Spine CT. 368 mm across the image. sagittal reformat. Bone window (WL 400, WW 1800). scan covers 24 annotated vertebrae. a region of this slice is masked with a uniform fill
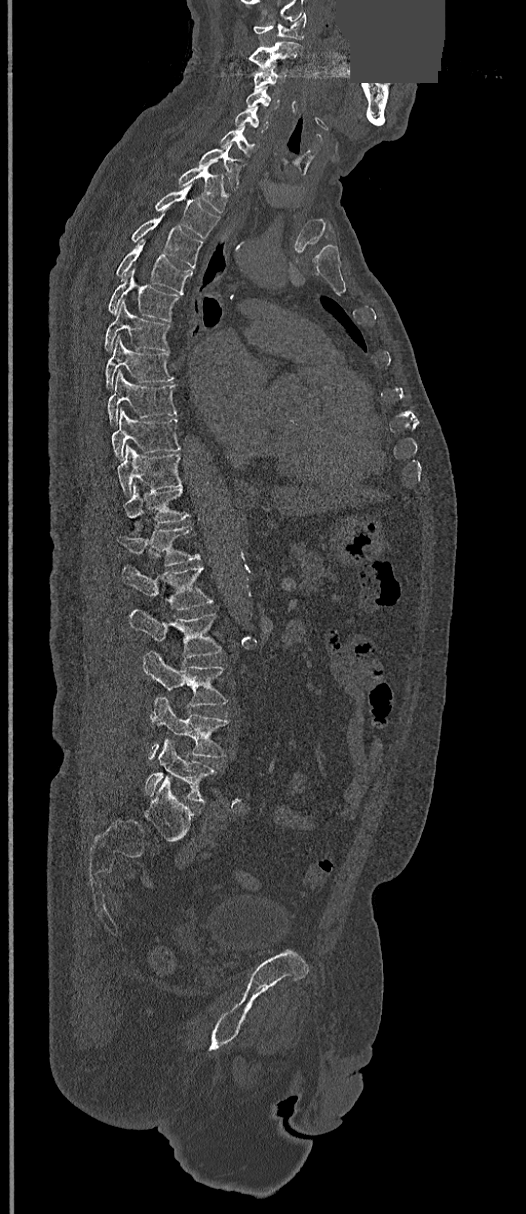 Each box given as x1,y1,x2,y2. Vertebrae labeled: C1 at x1=253, y1=13, x2=306, y2=39, C2 at x1=237, y1=41, x2=302, y2=69, C3 at x1=253, y1=67, x2=286, y2=88, C4 at x1=245, y1=87, x2=278, y2=109, C5 at x1=234, y1=106, x2=269, y2=132, C6 at x1=220, y1=126, x2=257, y2=156, C7 at x1=199, y1=144, x2=240, y2=189, T1 at x1=177, y1=167, x2=227, y2=212, T2 at x1=154, y1=184, x2=219, y2=238, T3 at x1=131, y1=216, x2=203, y2=268, T4 at x1=115, y1=241, x2=192, y2=293, T5 at x1=107, y1=268, x2=180, y2=320, T6 at x1=104, y1=301, x2=170, y2=350, T7 at x1=106, y1=336, x2=175, y2=388, T8 at x1=107, y1=370, x2=178, y2=425, T9 at x1=111, y1=409, x2=180, y2=459, T10 at x1=117, y1=446, x2=182, y2=495, T11 at x1=124, y1=484, x2=189, y2=530, T12 at x1=117, y1=526, x2=200, y2=566, L1 at x1=121, y1=566, x2=213, y2=609, L2 at x1=128, y1=609, x2=223, y2=659, L3 at x1=143, y1=651, x2=229, y2=708, L4 at x1=147, y1=697, x2=227, y2=760, L5 at x1=144, y1=740, x2=216, y2=802.